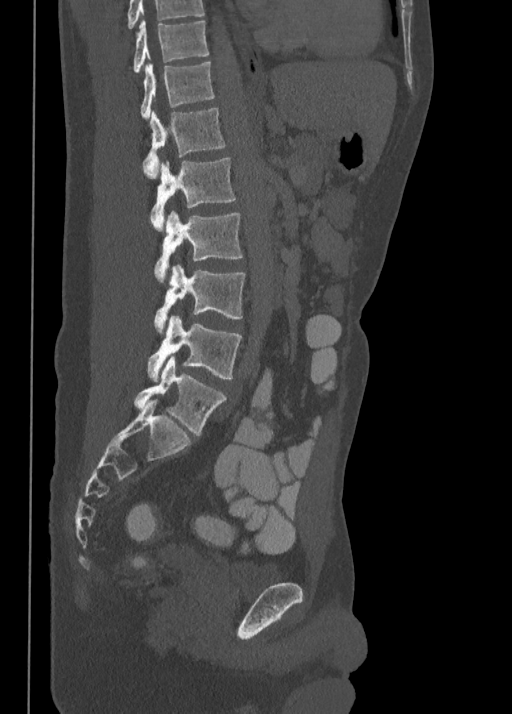
CT; sagittal reformat; W/L 1800/400 HU; 512x714 px
Boxes are (x1, y1, x2, y2) in pixels. Labels in this scan begin with T10 at the top and end with L5 at the bottom. The labeled vertebrae in this slice are: T10 at (133, 20, 208, 71), T11 at (141, 61, 214, 119), T12 at (143, 108, 226, 179), L1 at (150, 158, 236, 229), L2 at (155, 211, 242, 282), L3 at (153, 265, 245, 332), L4 at (148, 315, 242, 381), L5 at (134, 355, 226, 435).